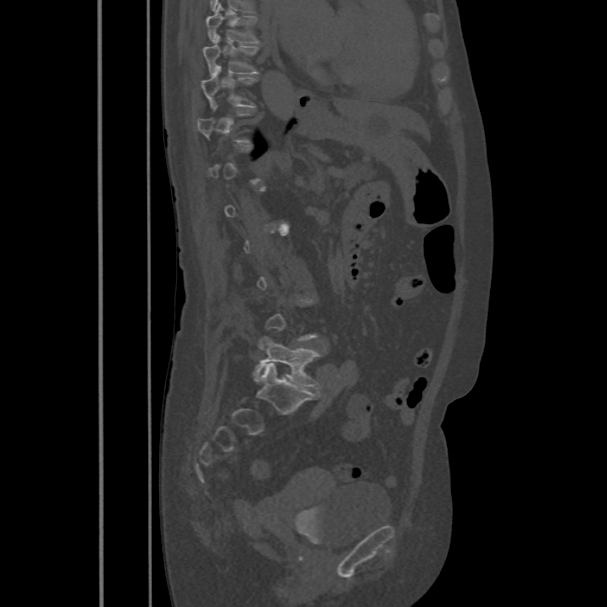 Computed tomography of the spine — sagittal view — 607x607 px — 486 mm across the image
Bounding boxes as [x1, y1, x2, y2] in pixel coordinates.
Each vertebra is boxed only on the slices from the first to the last where its cross-section reaches a third of its largest, so a slice outside that range leaves it unboxed.
Vertebra bounding boxes:
- L5: [254, 337, 320, 389]
- T10: [202, 67, 255, 107]
- T9: [203, 37, 258, 75]
- T8: [206, 5, 259, 42]